Computed tomography of the spine · sagittal plane, index 231 · 523x792 px · the image is 471 mm wide
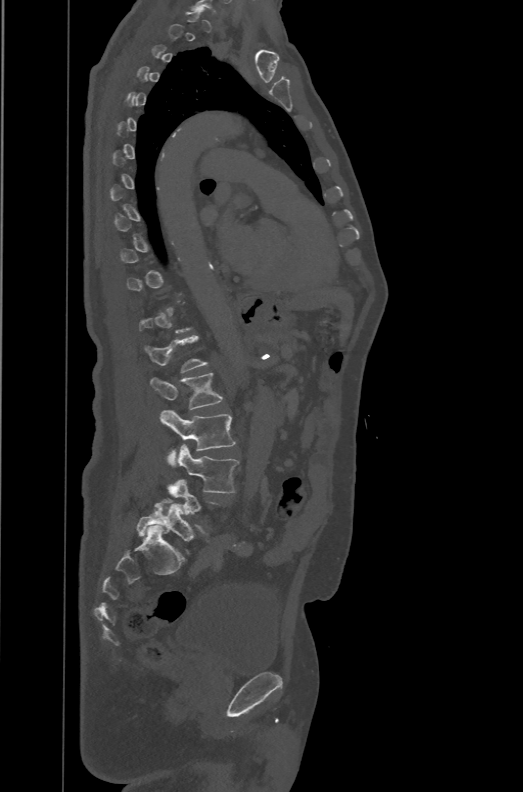

Each vertebra maps to its box as [x1, y1, x2, y2], the pixel coordinates of its top-left and bottom-right corners.
A vertebra gets a box only on the slices from the first to the last where its cross-section is at least a third of its largest; on a slice outside that range it gets none.
The labels name a sixth lumbar vertebra for this spine: L6, after L5.
{"vertebrae":{"L6":[137,498,200,541],"L4":[168,444,238,492],"L3":[159,410,234,466],"L2":[150,373,222,409],"L1":[144,335,206,372]}}